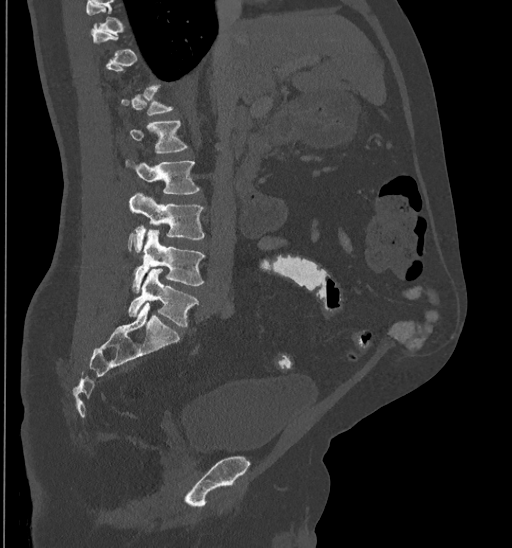 Spine computed tomography; sagittal reformat
Coordinates as <box>x1,y1,x2,y2</box>.
Each vertebra is boxed only on the slices from the first to the last where its cross-section reaches a third of its largest, so a slice outside that range leaves it unboxed.
L1: <box>129,121,187,153</box>
L2: <box>126,161,199,194</box>
L3: <box>127,193,204,252</box>
L4: <box>132,230,205,292</box>
L5: <box>128,269,198,326</box>